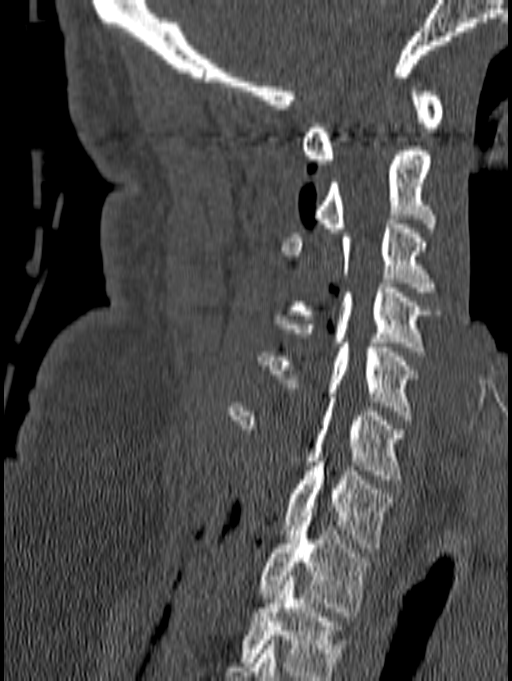
Spine CT; sagittal view; bone-window reconstruction; 512x681 px
Boxes: x1 y1 x2 y2 (pixel coords, space-separated).
Labels in this scan begin with C1 at the top and end with T1 at the bottom.
Vertebra bounding boxes:
- C1: 302 82 444 164
- C2: 313 146 435 232
- C3: 282 219 441 296
- C4: 273 283 436 351
- C5: 258 343 417 415
- C6: 227 398 406 479
- C7: 283 457 392 548
- T1: 259 512 372 616